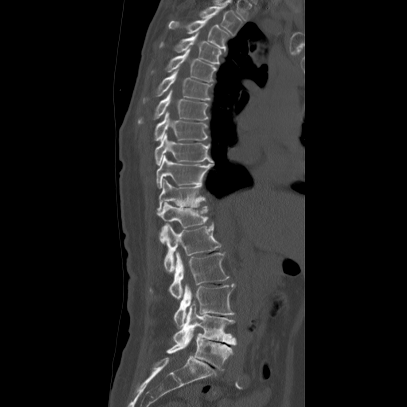 CT spine — sagittal view — bone-window reconstruction

In the table, x1 and y1 are a box's top-left corner and x2 and y2 its bottom-right corner, in pixels.
| vertebra | x1 | y1 | x2 | y2 |
|---|---|---|---|---|
| T2 | 195 | 6 | 242 | 36 |
| T3 | 168 | 16 | 230 | 50 |
| T4 | 157 | 34 | 222 | 65 |
| T5 | 150 | 49 | 216 | 82 |
| T6 | 140 | 71 | 212 | 103 |
| T7 | 135 | 91 | 208 | 127 |
| T8 | 154 | 112 | 207 | 141 |
| T9 | 153 | 133 | 213 | 165 |
| T10 | 155 | 155 | 213 | 189 |
| T11 | 156 | 179 | 206 | 212 |
| T12 | 157 | 201 | 208 | 243 |
| L1 | 163 | 223 | 220 | 272 |
| L2 | 147 | 252 | 228 | 299 |
| L3 | 173 | 283 | 234 | 327 |
| L4 | 173 | 302 | 236 | 345 |
| L5 | 167 | 329 | 232 | 370 |